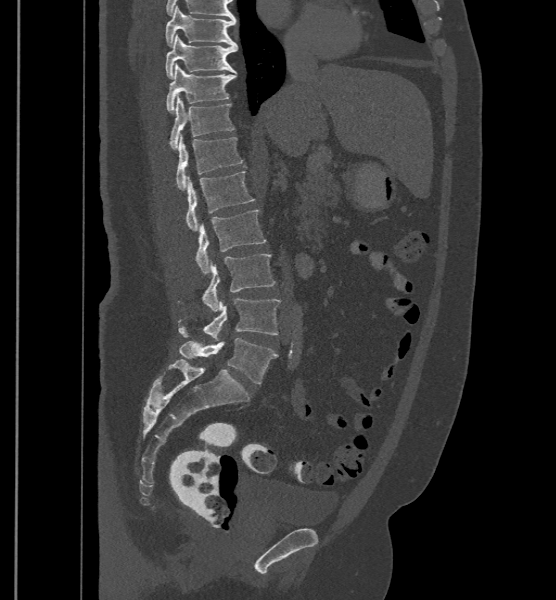
Computed tomography of the spine; sagittal reformat; image 500 mm wide; Bone window (WL 400, WW 1800)

Each vertebra maps to its box as [x1, y1, x2, y2], the pixel coordinates of its top-left and bottom-right corners.
In these labels the spine has an L6, a sixth lumbar vertebra below L5.
{"vertebrae":{"T9":[165,5,236,46],"T10":[166,34,237,78],"T11":[166,64,236,112],"T12":[170,94,234,149],"L1":[176,134,242,190],"L2":[186,171,255,231],"L3":[194,210,266,273],"L4":[201,253,276,311],"L5":[178,298,280,338],"L6":[179,338,277,383]}}